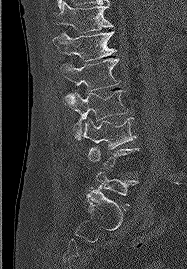 CT, spine. sagittal view. the image spans 187 mm across

Bounding boxes as [x1, y1, x2, y2] in pixel coordinates.
Each vertebra is boxed only on the slices from the first to the last where its cross-section reaches a third of its largest, so a slice outside that range leaves it unboxed.
Vertebra bounding boxes:
- T11: [55, 1, 113, 32]
- T12: [52, 31, 116, 61]
- L1: [60, 58, 120, 90]
- L2: [64, 90, 128, 139]
- L3: [81, 117, 136, 149]
- L5: [89, 171, 137, 204]